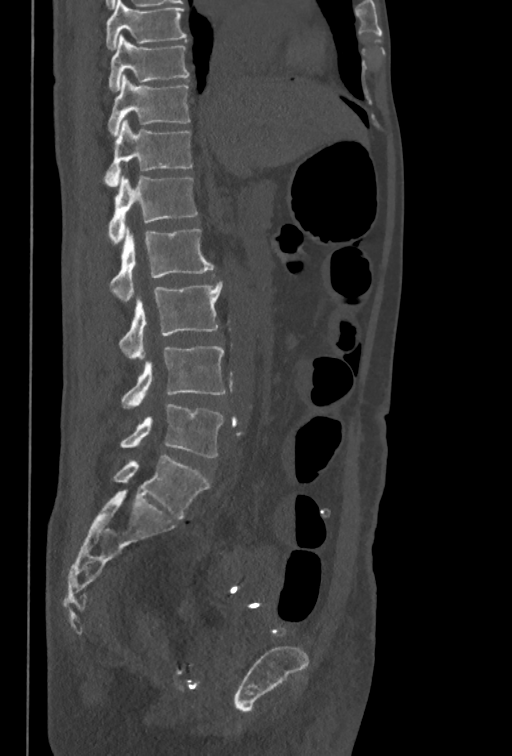

CT — sagittal view. Bounding boxes as [x1, y1, x2, y2] in pixel coordinates.
The highest labeled vertebra in this scan is T10; the lowest is L5.
Vertebra bounding boxes:
- T10: [108, 34, 189, 91]
- T11: [108, 74, 190, 136]
- T12: [103, 120, 192, 186]
- L1: [108, 176, 198, 243]
- L2: [109, 226, 213, 302]
- L3: [118, 282, 222, 358]
- L4: [121, 346, 226, 408]
- L5: [120, 404, 223, 457]